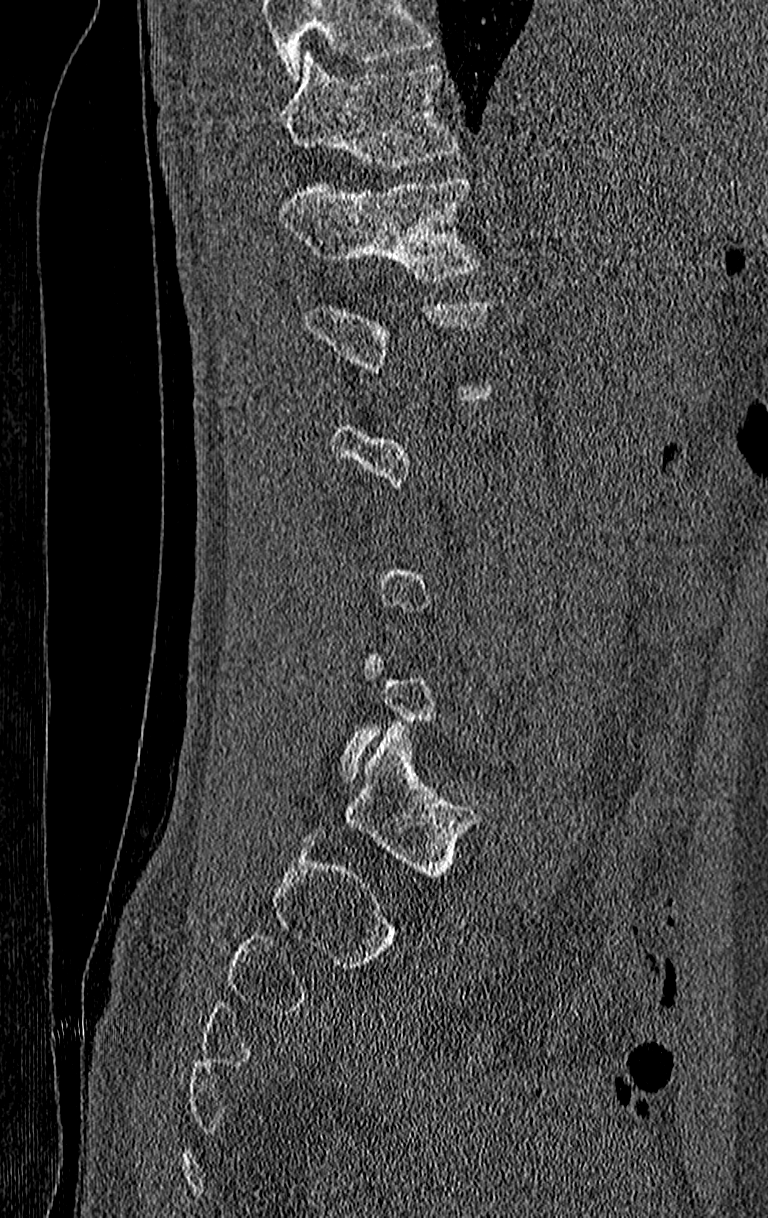 CT; sagittal view; the image is 210 mm wide
A vertebra gets a box only on the slices from the first to the last where its cross-section is at least a third of its largest; on a slice outside that range it gets none.
A vertebra cut off by the top edge of the scan is not labeled and has no box.
<vertebrae><v name="T12" x1="280" y1="176" x2="480" y2="282"/><v name="T11" x1="280" y1="53" x2="458" y2="169"/></vertebrae>